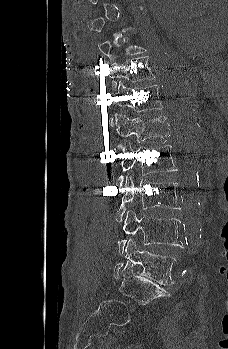

CT, spine. sagittal reformat. bone-window reconstruction

Box values are [left, top, right, bottom] in pixels.
Each vertebra is boxed only on the slices from the first to the last where its cross-section reaches a third of its largest, so a slice outside that range leaves it unboxed.
{"vertebrae":{"L5":[113,239,176,285],"L4":[117,209,183,253],"L3":[115,174,181,222],"L2":[115,143,178,185],"L1":[115,113,170,143],"T12":[108,81,162,126],"T11":[109,56,154,93],"T10":[98,37,147,63]}}